Spine CT. the image is 391 mm wide. sagittal reformat. W/L 1800/400 HU
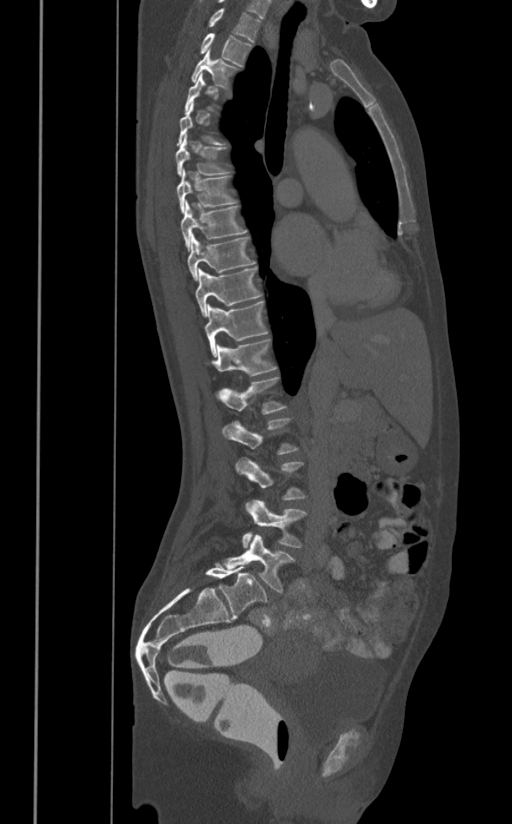 Each vertebra is boxed only on the slices from the first to the last where its cross-section reaches a third of its largest, so a slice outside that range leaves it unboxed.
<vertebrae><v name="T1" x1="208" y1="7" x2="261" y2="41"/><v name="T2" x1="200" y1="33" x2="252" y2="65"/><v name="T3" x1="191" y1="48" x2="238" y2="89"/><v name="T6" x1="175" y1="132" x2="228" y2="176"/><v name="T7" x1="177" y1="169" x2="236" y2="213"/><v name="T8" x1="181" y1="200" x2="246" y2="251"/><v name="T9" x1="187" y1="233" x2="255" y2="281"/><v name="T10" x1="195" y1="268" x2="262" y2="316"/><v name="T11" x1="204" y1="302" x2="267" y2="357"/><v name="T12" x1="209" y1="339" x2="276" y2="375"/><v name="L1" x1="216" y1="376" x2="286" y2="413"/><v name="L2" x1="222" y1="418" x2="297" y2="454"/><v name="L3" x1="236" y1="457" x2="307" y2="500"/><v name="L4" x1="242" y1="500" x2="307" y2="547"/><v name="L5" x1="222" y1="534" x2="295" y2="592"/></vertebrae>